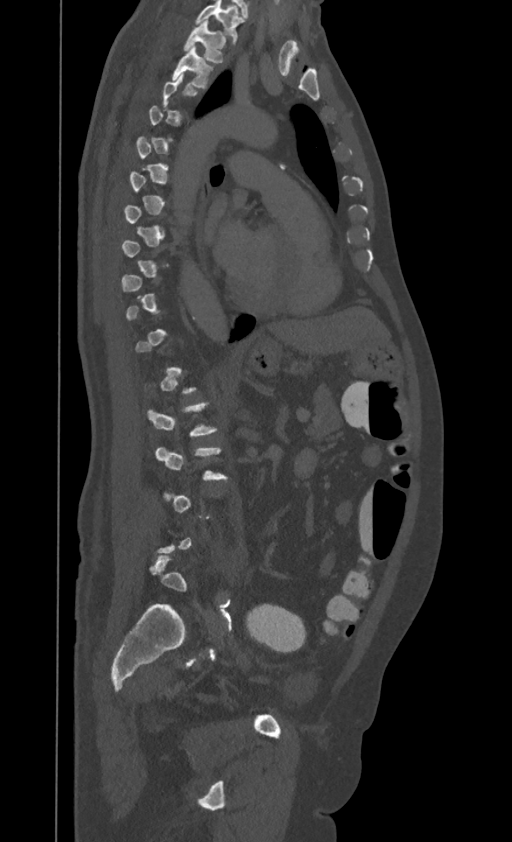

Spine CT — sagittal view — Bone window (WL 400, WW 1800). Each row gives a vertebra's box as x1, y1, x2, y2 in pixels: top-left corner, then bottom-right corner.
A vertebra is boxed only from the first to the last slice where its cross-section is at least a third of its largest; slices outside that range leave it without a box.
The highest labeled vertebra in this scan is T1; the lowest is L4.
| vertebra | x1 | y1 | x2 | y2 |
|---|---|---|---|---|
| T1 | 184 | 21 | 226 | 62 |
| T2 | 172 | 45 | 213 | 89 |